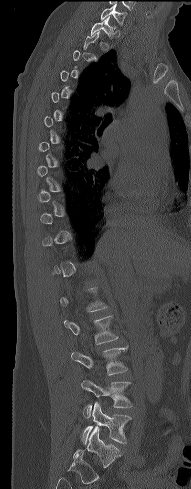 Computed tomography of the spine. sagittal view. bone window. 191x489 px
Boxes are given in columns x1, y1, x2, y2, the pixel coordinates of their top-left and bottom-right corners.
Not every vertebra on this slice has a box: a vertebra is boxed only from the first to the last slice where its cross-section is at least a third of its largest, and this slice is outside that range for at least one of them.
| vertebra | x1 | y1 | x2 | y2 |
|---|---|---|---|---|
| L5 | 82 | 402 | 132 | 444 |
| L4 | 81 | 379 | 133 | 418 |
| L3 | 71 | 347 | 128 | 375 |
| L2 | 63 | 315 | 119 | 344 |
| T1 | 90 | 16 | 115 | 39 |
| C7 | 100 | 4 | 125 | 26 |